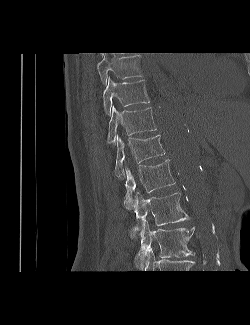

Computed tomography of the spine — sagittal view — bone-window reconstruction — 250x325 px
In the table, x1 and y1 are a box's top-left corner and x2 and y2 its bottom-right corner, in pixels.
The highest labeled vertebra in this scan is T9; the lowest is L3.
| vertebra | x1 | y1 | x2 | y2 |
|---|---|---|---|---|
| L3 | 134 | 219 | 194 | 270 |
| L2 | 130 | 192 | 189 | 237 |
| L1 | 123 | 159 | 175 | 209 |
| T12 | 114 | 135 | 165 | 179 |
| T11 | 107 | 106 | 156 | 143 |
| T10 | 103 | 78 | 150 | 114 |
| T9 | 96 | 55 | 143 | 83 |